CT, spine — sagittal view
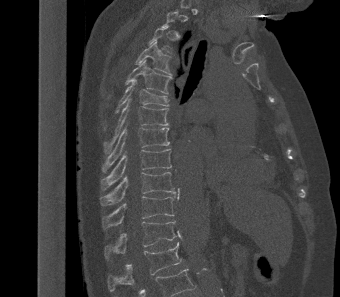 Boxes are (x1, y1, x2, y2) in pixels.
Each vertebra is boxed only on the slices from the first to the last where its cross-section reaches a third of its largest, so a slice outside that range leaves it unboxed.
Vertebra bounding boxes:
- T4: (135, 42, 171, 74)
- T5: (125, 60, 172, 94)
- T6: (115, 79, 169, 112)
- T7: (104, 98, 168, 152)
- T8: (102, 128, 170, 172)
- T9: (100, 149, 171, 190)
- T10: (100, 172, 175, 205)
- T11: (101, 194, 175, 228)
- T12: (104, 221, 177, 258)
- L1: (107, 242, 181, 291)